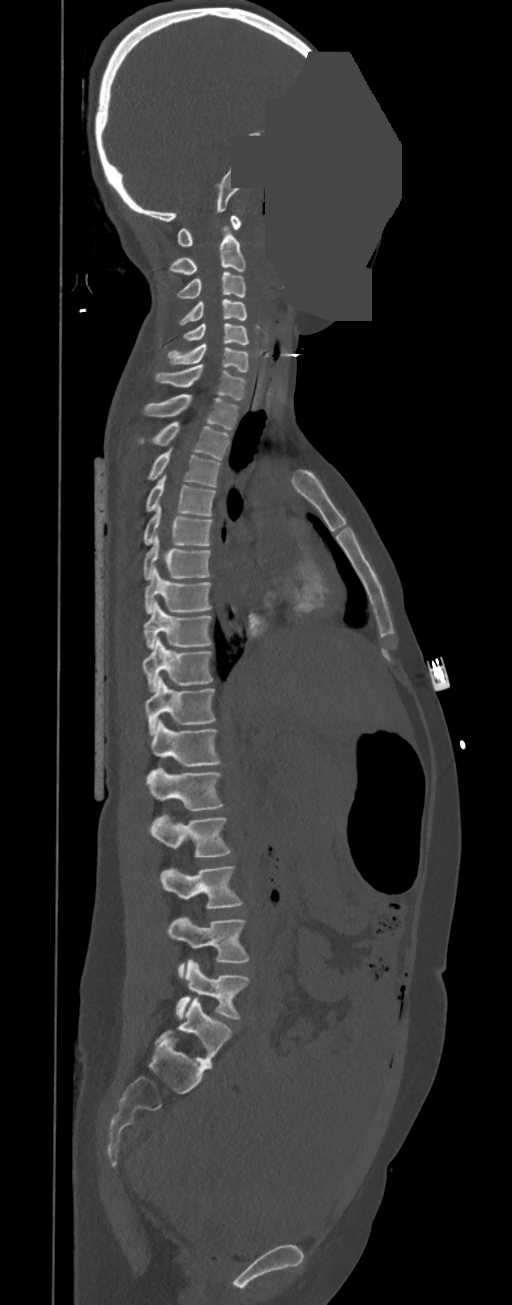 CT · sagittal reformat · bone window · a uniform gray block covers part of the image
Each row gives a vertebra's box as x1, y1, x2, y2 in pixels: top-left corner, then bottom-right corner.
In these labels the spine has no T12: the thoracic vertebrae end at T11, and L1 comes next.
| vertebra | x1 | y1 | x2 | y2 |
|---|---|---|---|---|
| L5 | 175 | 960 | 249 | 1018 |
| L4 | 168 | 918 | 249 | 979 |
| L3 | 161 | 866 | 242 | 909 |
| L2 | 150 | 815 | 231 | 857 |
| L1 | 146 | 766 | 223 | 811 |
| T11 | 150 | 720 | 220 | 767 |
| T10 | 145 | 677 | 215 | 735 |
| T9 | 142 | 637 | 212 | 692 |
| T8 | 143 | 602 | 211 | 649 |
| T7 | 145 | 567 | 211 | 614 |
| T6 | 143 | 535 | 211 | 580 |
| T5 | 143 | 503 | 212 | 545 |
| T4 | 145 | 474 | 215 | 516 |
| T3 | 148 | 448 | 220 | 486 |
| T2 | 139 | 421 | 230 | 460 |
| T1 | 143 | 394 | 238 | 430 |
| C7 | 155 | 365 | 246 | 401 |
| C6 | 167 | 344 | 249 | 372 |
| C5 | 183 | 323 | 249 | 344 |
| C4 | 179 | 299 | 246 | 326 |
| C3 | 177 | 271 | 245 | 299 |
| C2 | 169 | 229 | 245 | 274 |
| C1 | 177 | 216 | 242 | 247 |